Computed tomography of the spine. sagittal view. scan covers 18 annotated vertebrae. the image spans 317 mm across
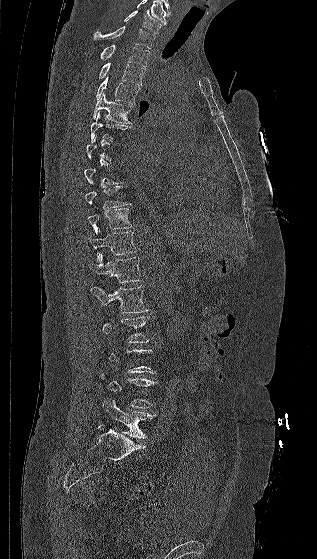
Box edges are left/top/right/bottom in pixels.
A vertebra is boxed only from the first to the last slice where its cross-section is at least a third of its largest; slices outside that range leave it without a box.
| vertebra | x1 | y1 | x2 | y2 |
|---|---|---|---|---|
| C7 | 124 | 9 | 162 | 33 |
| T1 | 94 | 26 | 155 | 48 |
| T2 | 99 | 44 | 149 | 66 |
| T3 | 98 | 62 | 145 | 85 |
| T4 | 96 | 76 | 140 | 103 |
| T5 | 92 | 93 | 133 | 123 |
| T6 | 90 | 112 | 130 | 141 |
| T9 | 84 | 182 | 132 | 208 |
| T10 | 87 | 206 | 131 | 234 |
| T11 | 89 | 229 | 138 | 262 |
| T12 | 90 | 253 | 143 | 282 |
| L1 | 91 | 286 | 149 | 312 |
| L2 | 97 | 316 | 150 | 342 |
| L4 | 101 | 373 | 157 | 408 |
| L5 | 102 | 398 | 156 | 438 |